Spine computed tomography; Sagittal slice 205/381; Bone window (WL 400, WW 1800); 381x252 px; scan covers 7 annotated vertebrae
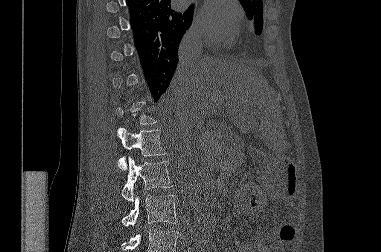

Boxes are (x1, y1, x2, y2) in pixels.
Each vertebra is boxed only on the slices from the first to the last where its cross-section reaches a third of its largest, so a slice outside that range leaves it unboxed.
No box is given to a vertebra that the bottom edge of the scan cuts off.
L3: (122, 195, 178, 226)
L2: (122, 157, 172, 201)
L1: (117, 127, 165, 170)